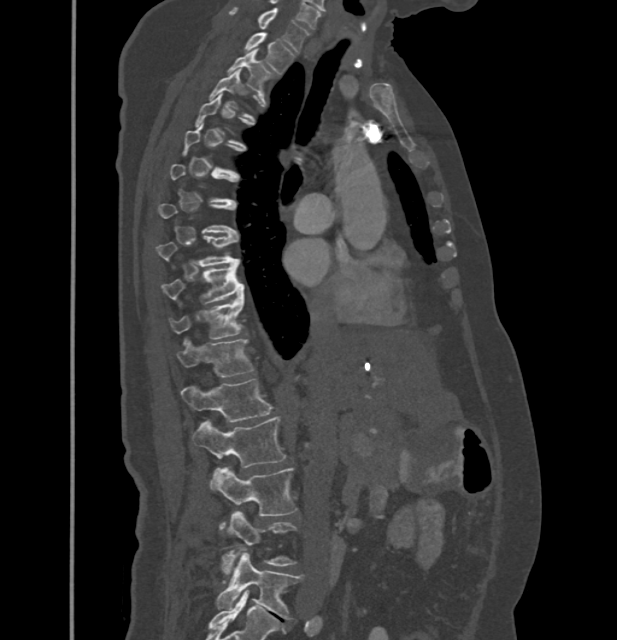

CT; sagittal view; 617x640 px
Each vertebra is boxed only on the slices from the first to the last where its cross-section reaches a third of its largest, so a slice outside that range leaves it unboxed.
In these labels the thoracic vertebrae end at T11, so L1 follows T11.
<vertebrae><v name="L5" x1="216" y1="553" x2="302" y2="619"/><v name="L4" x1="222" y1="510" x2="296" y2="575"/><v name="L3" x1="210" y1="467" x2="298" y2="528"/><v name="L2" x1="193" y1="416" x2="286" y2="468"/><v name="L1" x1="181" y1="379" x2="273" y2="422"/><v name="T11" x1="178" y1="337" x2="255" y2="376"/><v name="T10" x1="169" y1="296" x2="244" y2="339"/><v name="T9" x1="162" y1="262" x2="244" y2="305"/><v name="T8" x1="157" y1="235" x2="239" y2="266"/><v name="T3" x1="209" y1="70" x2="252" y2="118"/><v name="T2" x1="227" y1="49" x2="273" y2="94"/><v name="T1" x1="245" y1="32" x2="294" y2="74"/><v name="C7" x1="230" y1="7" x2="309" y2="52"/></vertebrae>